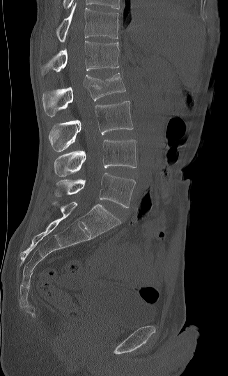 Spine CT. sagittal view. image width 228 mm
In this scan, the topmost labeled vertebra is L1 and the lowest is L5.
<vertebrae><v name="L5" x1="54" y1="173" x2="135" y2="208"/><v name="L4" x1="54" y1="139" x2="136" y2="177"/><v name="L3" x1="49" y1="101" x2="133" y2="151"/><v name="L2" x1="42" y1="72" x2="125" y2="116"/><v name="L1" x1="40" y1="41" x2="119" y2="77"/></vertebrae>